CT spine. sagittal plane, index 258. 556x855 px. scan covers 20 annotated vertebrae
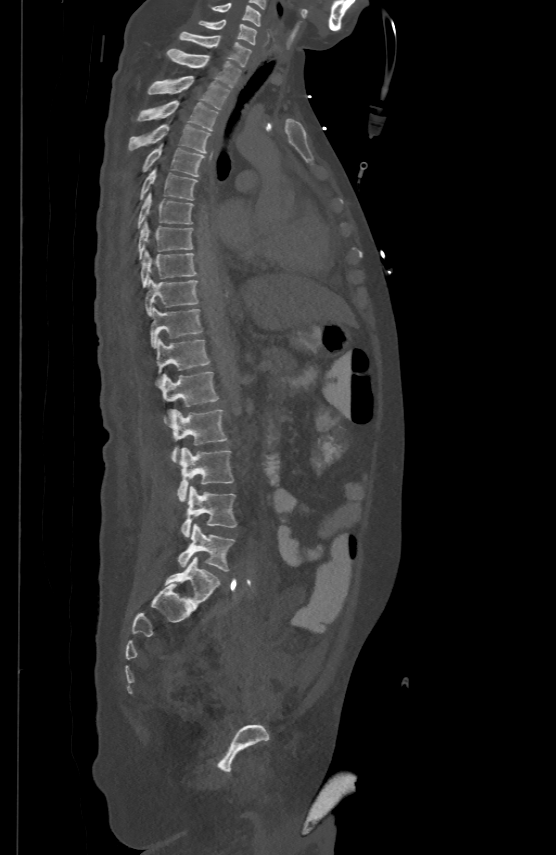

<vertebrae><v name="L5" x1="178" y1="524" x2="234" y2="571"/><v name="L4" x1="181" y1="486" x2="237" y2="536"/><v name="L3" x1="178" y1="447" x2="233" y2="501"/><v name="L2" x1="169" y1="409" x2="227" y2="462"/><v name="L1" x1="160" y1="371" x2="218" y2="421"/><v name="T12" x1="156" y1="339" x2="211" y2="383"/><v name="T11" x1="150" y1="307" x2="202" y2="346"/><v name="T10" x1="144" y1="279" x2="198" y2="314"/><v name="T9" x1="141" y1="250" x2="195" y2="286"/><v name="T8" x1="138" y1="220" x2="192" y2="259"/><v name="T7" x1="138" y1="192" x2="193" y2="228"/><v name="T6" x1="140" y1="169" x2="196" y2="200"/><v name="T5" x1="142" y1="144" x2="204" y2="176"/><v name="T4" x1="128" y1="123" x2="211" y2="152"/><v name="T3" x1="138" y1="100" x2="218" y2="130"/><v name="T2" x1="148" y1="75" x2="229" y2="109"/><v name="T1" x1="167" y1="47" x2="240" y2="86"/><v name="C7" x1="180" y1="31" x2="251" y2="65"/><v name="C6" x1="199" y1="19" x2="256" y2="43"/><v name="C5" x1="212" y1="2" x2="261" y2="25"/></vertebrae>